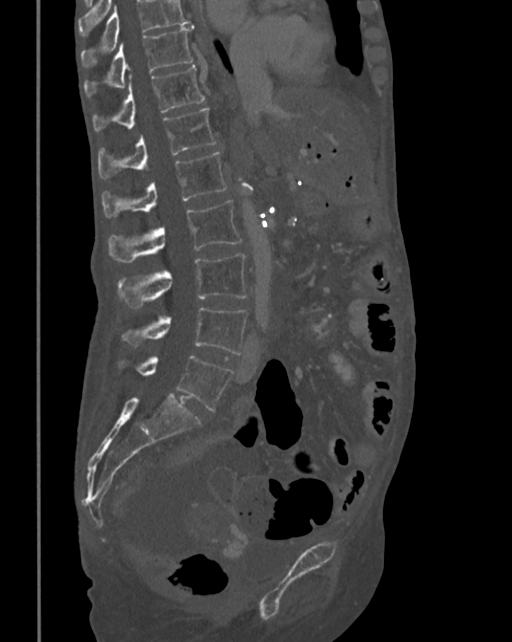

CT, spine; sagittal view; 512x642 px
Boxes: x1 y1 x2 y2 (pixel coords, space-separated).
Where the top of the scan cuts through a vertebra, that vertebra gets no label or box.
Vertebra bounding boxes:
- T10: 84 25 194 96
- T11: 93 65 205 131
- T12: 99 108 216 177
- L1: 102 152 226 217
- L2: 108 199 241 261
- L3: 118 254 247 308
- L4: 121 307 247 354
- L5: 137 355 232 411